Spine CT; sagittal reformat; 391x670 px; 17 vertebrae labeled in this scan
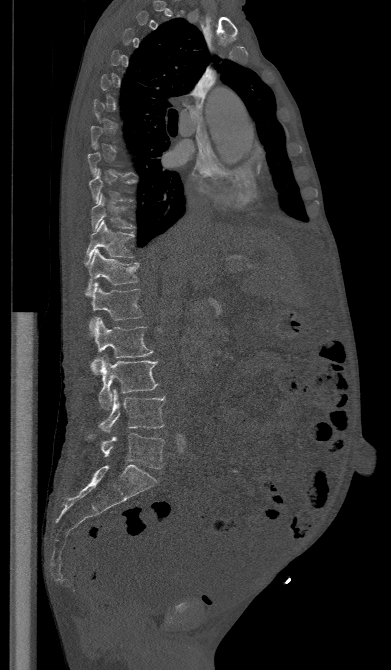
Each box given as x1,y1,x2,y2.
A vertebra gets a box only on the slices from the first to the last where its cross-section is at least a third of its largest; on a slice outside that range it gets none.
| vertebra | x1 | y1 | x2 | y2 |
|---|---|---|---|---|
| L5 | 88 | 433 | 165 | 468 |
| L4 | 98 | 389 | 164 | 432 |
| L3 | 99 | 355 | 157 | 410 |
| L2 | 89 | 317 | 153 | 374 |
| L1 | 91 | 282 | 143 | 320 |
| T12 | 84 | 249 | 139 | 296 |
| T11 | 86 | 220 | 134 | 262 |
| T10 | 90 | 194 | 135 | 231 |